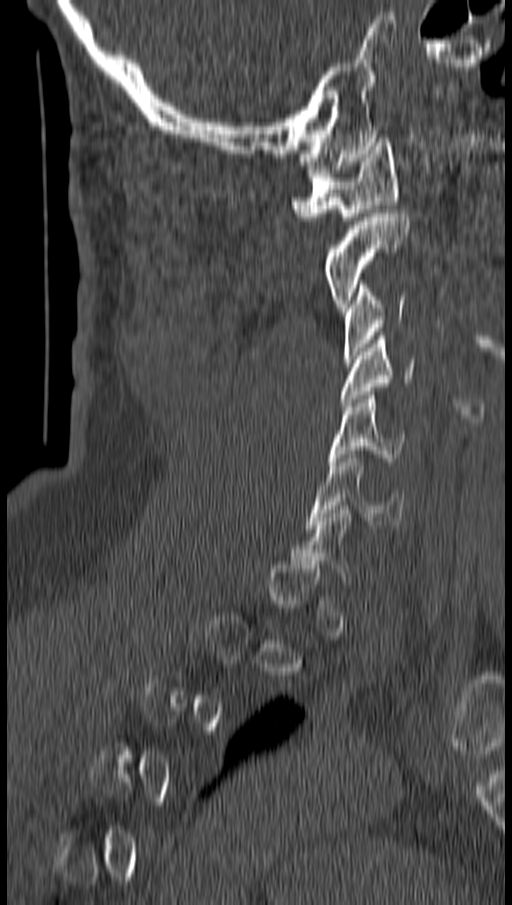 CT, spine; sagittal view; bone window; 512x905 px. Boxes: x1:y1:x2:y2 in pixels.
A vertebra gets a box only on the slices from the first to the last where its cross-section is at least a third of its largest; on a slice outside that range it gets none.
Vertebra bounding boxes:
- C6: 308:454:406:528
- C5: 330:391:406:465
- C4: 339:336:414:406
- C3: 342:280:405:362
- C2: 327:213:408:311
- C1: 291:138:398:220